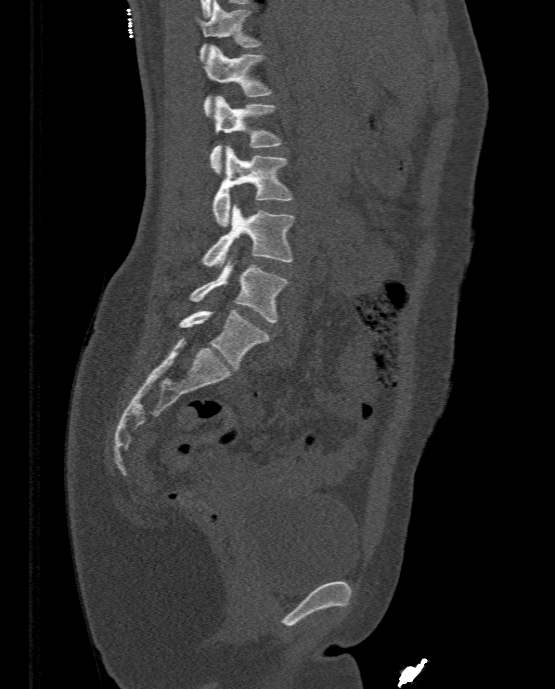

CT, spine · sagittal view · 555x689 px. Each box given as x1,y1,x2,y2.
L5: x1=179, y1=310, x2=270, y2=370
L4: x1=188, y1=262, x2=288, y2=322
L3: x1=202, y1=204, x2=295, y2=266
L2: x1=211, y1=146, x2=292, y2=226
L1: x1=209, y1=96, x2=282, y2=174
T12: x1=204, y1=45, x2=272, y2=116
T11: x1=199, y1=0, x2=260, y2=61